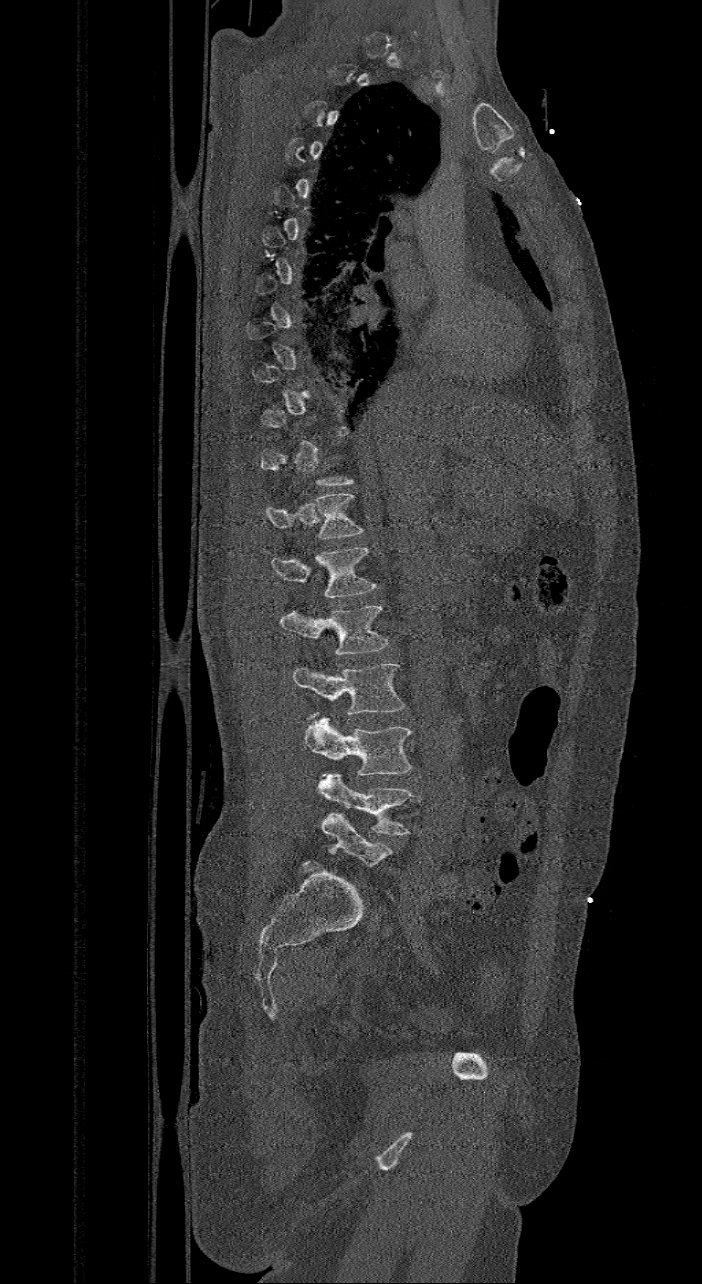
Spine CT · sagittal view · the image spans 421 mm across · 702x1284 px. Each box given as x1,y1,x2,y2.
A vertebra is boxed only from the first to the last slice where its cross-section is at least a third of its largest; slices outside that range leave it without a box.
These labels give the spine a sixth lumbar vertebra, L6, below L5.
| vertebra | x1 | y1 | x2 | y2 |
|---|---|---|---|---|
| T12 | 264 | 493 | 364 | 538 |
| L1 | 271 | 547 | 377 | 596 |
| L2 | 280 | 605 | 388 | 655 |
| L3 | 293 | 663 | 406 | 715 |
| L4 | 304 | 714 | 412 | 775 |
| L5 | 318 | 773 | 421 | 835 |
| L6 | 321 | 813 | 392 | 867 |